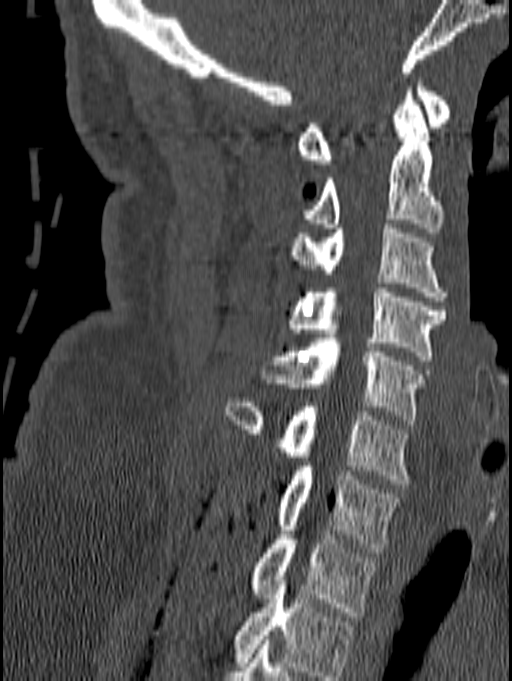
CT — sagittal view — image 140 mm wide — Bone window (WL 400, WW 1800)
Columns x1, y1, x2, y2 give each box's top-left and bottom-right pixels.
In this scan, the topmost labeled vertebra is C1 and the lowest is T1.
| vertebra | x1 | y1 | x2 | y2 |
|---|---|---|---|---|
| C1 | 297 | 78 | 452 | 164 |
| C2 | 304 | 87 | 443 | 232 |
| C3 | 289 | 224 | 450 | 301 |
| C4 | 290 | 288 | 447 | 360 |
| C5 | 261 | 338 | 430 | 424 |
| C6 | 225 | 398 | 409 | 484 |
| C7 | 276 | 462 | 399 | 552 |
| T1 | 250 | 526 | 378 | 616 |